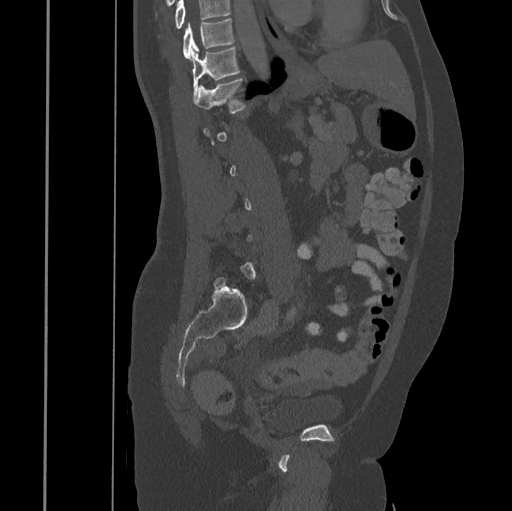
CT, spine · sagittal reformat · W/L 1800/400 HU · image 445 mm wide
Boxes are (x1, y1, x2, y2) in pixels.
Not every vertebra on this slice has a box: a vertebra is boxed only from the first to the last slice where its cross-section is at least a third of its largest, and this slice is outside that range for at least one of them.
No box is given to a vertebra that the top edge of the scan cuts off.
Vertebra bounding boxes:
- T10: (183, 19, 234, 57)
- T11: (191, 47, 241, 95)
- T12: (193, 78, 246, 113)